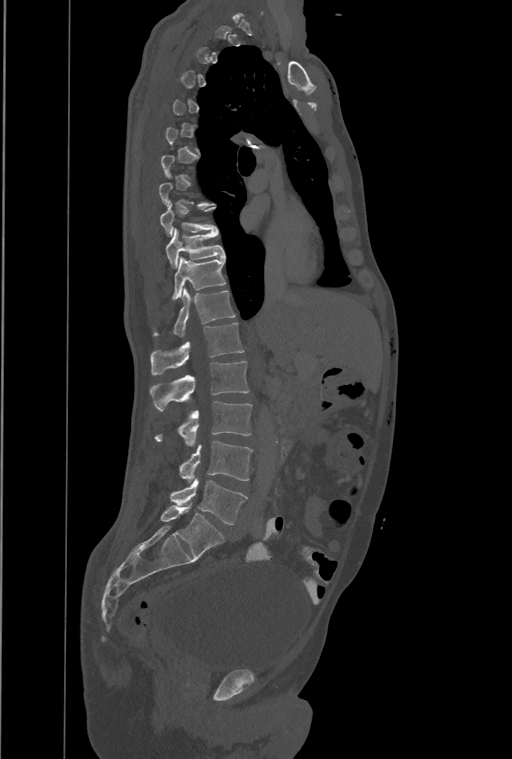
CT — sagittal reformat. Each box given as x1,y1,x2,y2.
A vertebra gets a box only on the slices from the first to the last where its cross-section is at least a third of its largest; on a slice outside that range it gets none.
The highest labeled vertebra in this scan is T1; the lowest is L4.
The labels name an extra thoracic vertebra here, T13, which comes after T12 and before L1.
T9: x1=160, y1=201, x2=216, y2=236
T10: x1=165, y1=228, x2=225, y2=268
T11: x1=173, y1=257, x2=225, y2=299
T12: x1=154, y1=288, x2=235, y2=336
T13: x1=151, y1=322, x2=244, y2=375
L1: x1=150, y1=361, x2=248, y2=410
L2: x1=154, y1=401, x2=252, y2=445
L3: x1=178, y1=441, x2=252, y2=480
L4: x1=170, y1=479, x2=246, y2=525